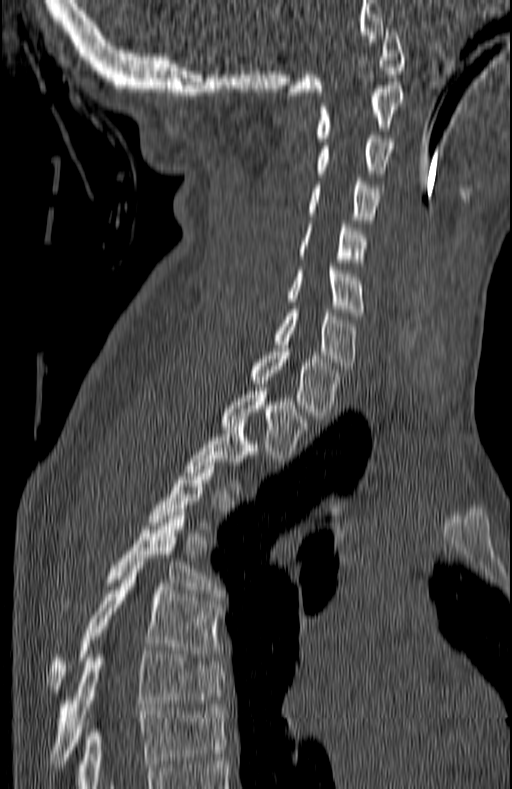
Computed tomography of the spine. sagittal view. 512x789 px

Each vertebra maps to its box as [x1, y1, x2, y2], the pixel coordinates of its top-left and bottom-right corners.
Not every vertebra on this slice has a box: a vertebra is boxed only from the first to the last slice where its cross-section is at least a third of its largest, and this slice is outside that range for at least one of them.
{"vertebrae":{"T7":[49,647,225,767],"T6":[46,565,219,696],"T5":[109,512,219,596],"T2":[223,388,304,461],"T1":[251,348,340,419],"C7":[274,309,355,369],"C6":[288,267,361,315],"C5":[300,224,367,259],"C4":[308,178,381,219],"C3":[317,135,393,177],"C2":[317,85,404,141],"C1":[288,28,404,95]}}